CT — sagittal view — Bone window (WL 400, WW 1800) — image 230 mm wide — scan covers 14 annotated vertebrae
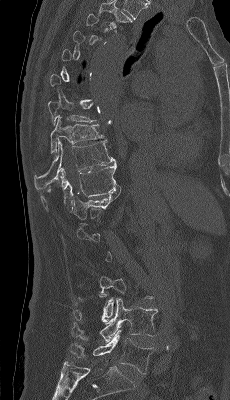
Boxes: x1:y1:x2:y2 in pixels.
A vertebra is boxed only from the first to the last slice where its cross-section is at least a third of its largest; slices outside that range leave it without a box.
Vertebra bounding boxes:
- T9: 50:116:105:153
- T10: 34:140:116:190
- T11: 41:164:118:210
- T12: 71:186:120:219
- L3: 73:277:152:322
- L4: 72:298:157:342
- L5: 70:329:154:374